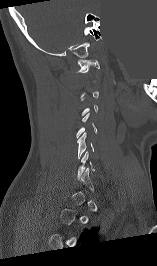
Computed tomography of the spine · sagittal view · Bone window (WL 400, WW 1800) · the image spans 157 mm across · 157x266 px · part of the image has been replaced by a constant value
Each box given as x1,y1,x2,y2.
Not every vertebra on this slice has a box: a vertebra is boxed only from the first to the last slice where its cross-section is at least a third of its largest, and this slice is outside that range for at least one of them.
| vertebra | x1 | y1 | x2 | y2 |
|---|---|---|---|---|
| C6 | 77 | 151 | 94 | 179 |
| C5 | 77 | 132 | 93 | 158 |
| C4 | 76 | 113 | 97 | 138 |
| C1 | 76 | 59 | 99 | 72 |